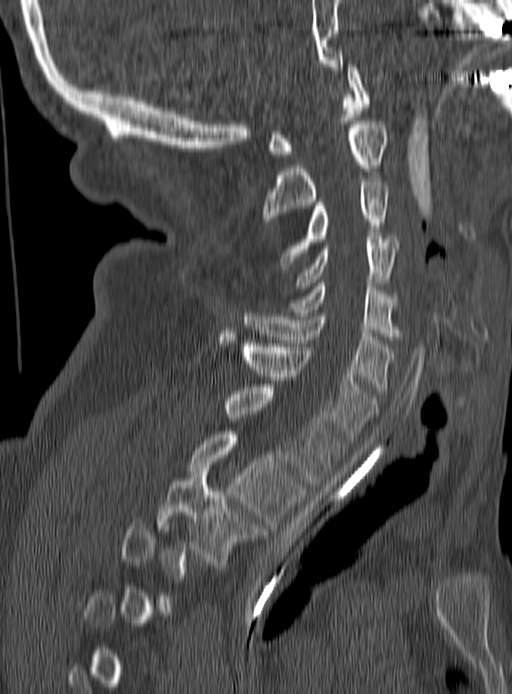
CT, spine. sagittal reformat. W/L 1800/400 HU. 512x694 px

Not every vertebra on this slice has a box: a vertebra is boxed only from the first to the last slice where its cross-section is at least a third of its largest, and this slice is outside that range for at least one of them.
<vertebrae><v name="C1" x1="266" y1="64" x2="369" y2="157"/><v name="C2" x1="262" y1="121" x2="388" y2="225"/><v name="C3" x1="280" y1="182" x2="389" y2="265"/><v name="C4" x1="297" y1="236" x2="399" y2="289"/><v name="C5" x1="292" y1="283" x2="399" y2="339"/><v name="C6" x1="243" y1="310" x2="393" y2="393"/><v name="C7" x1="219" y1="333" x2="377" y2="440"/><v name="T1" x1="225" y1="384" x2="342" y2="484"/><v name="T2" x1="189" y1="431" x2="304" y2="528"/><v name="T3" x1="157" y1="468" x2="261" y2="565"/></vertebrae>